CT, spine; Sagittal slice 266/512; 526x1214 px; an area of the scan was removed and filled with constant pixels
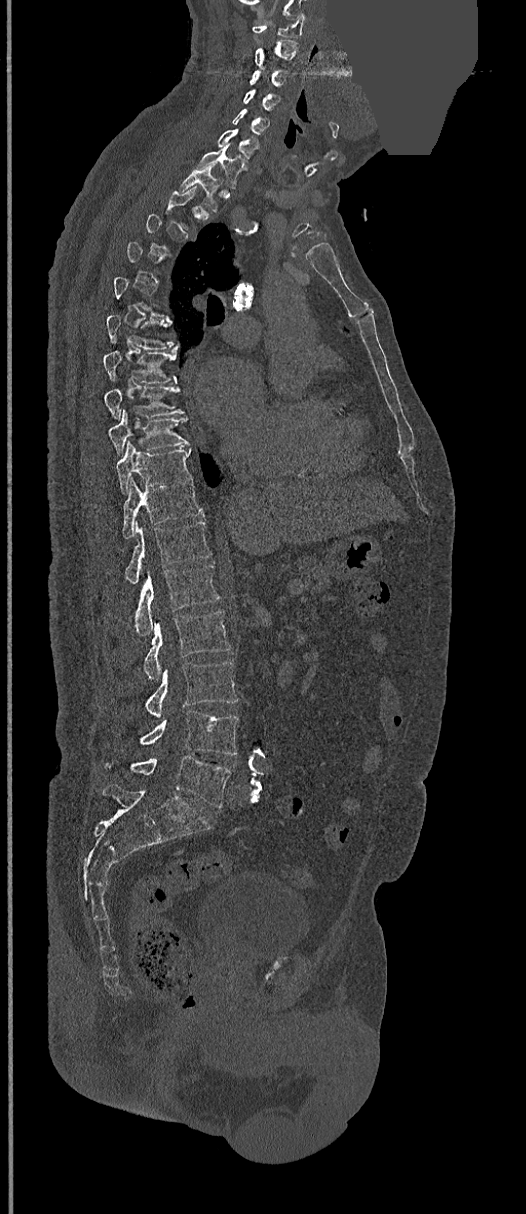

Not every vertebra on this slice has a box: a vertebra is boxed only from the first to the last slice where its cross-section is at least a third of its largest, and this slice is outside that range for at least one of them.
<vertebrae><v name="C1" x1="253" y1="14" x2="305" y2="38"/><v name="C2" x1="254" y1="40" x2="298" y2="68"/><v name="C3" x1="250" y1="70" x2="289" y2="88"/><v name="C4" x1="242" y1="89" x2="278" y2="110"/><v name="C5" x1="231" y1="108" x2="269" y2="135"/><v name="C6" x1="218" y1="129" x2="258" y2="162"/><v name="C7" x1="197" y1="144" x2="241" y2="188"/><v name="T1" x1="180" y1="170" x2="220" y2="210"/><v name="T6" x1="106" y1="314" x2="178" y2="349"/><v name="T7" x1="103" y1="350" x2="178" y2="383"/><v name="T8" x1="104" y1="386" x2="183" y2="419"/><v name="T9" x1="109" y1="409" x2="189" y2="453"/><v name="T10" x1="115" y1="441" x2="192" y2="493"/><v name="T11" x1="121" y1="479" x2="203" y2="539"/><v name="T12" x1="124" y1="520" x2="212" y2="583"/><v name="L1" x1="135" y1="564" x2="220" y2="636"/><v name="L2" x1="143" y1="611" x2="230" y2="679"/><v name="L3" x1="144" y1="661" x2="237" y2="718"/><v name="L4" x1="140" y1="710" x2="237" y2="755"/><v name="L5" x1="106" y1="756" x2="230" y2="808"/></vertebrae>